CT; Sagittal slice 327/512; bone-window reconstruction; 10 vertebrae labeled in this scan
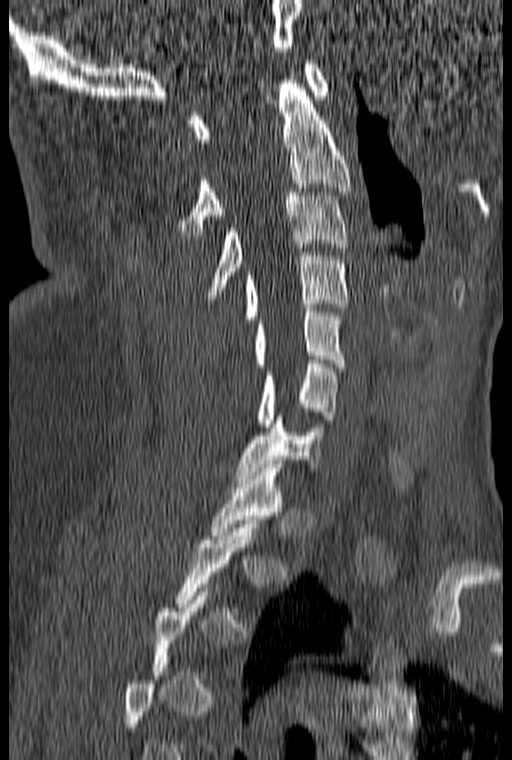

Box edges are left/top/right/bottom in pixels.
A vertebra gets a box only on the slices from the first to the last where its cross-section is at least a third of its largest; on a slice outside that range it gets none.
T1: left=209, top=464, right=285, bottom=539
C7: left=235, top=416, right=322, bottom=479
C6: left=257, top=360, right=336, bottom=427
C5: left=254, top=308, right=345, bottom=371
C4: left=244, top=252, right=349, bottom=319
C3: left=206, top=192, right=349, bottom=299
C2: left=177, top=80, right=352, bottom=235
C1: left=189, top=60, right=329, bottom=143